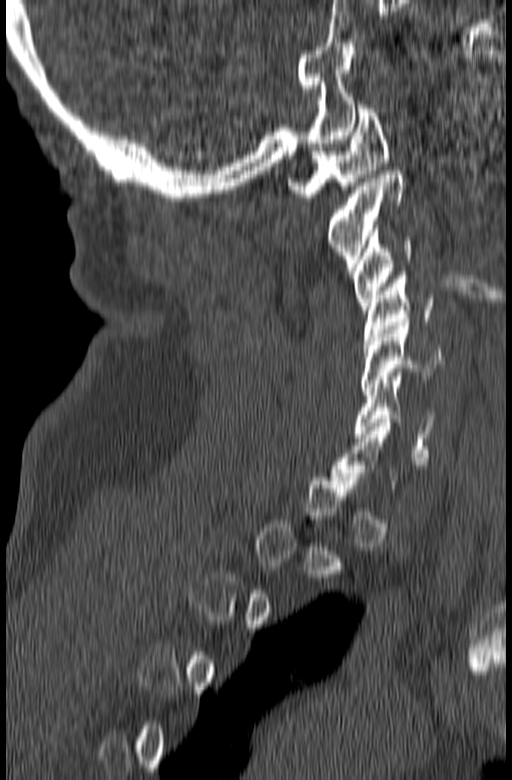

CT spine; sagittal view; W/L 1800/400 HU
Box edges are left/top/right/bottom in pixels.
Not every vertebra on this slice has a box: a vertebra is boxed only from the first to the last slice where its cross-section is at least a third of its largest, and this slice is outside that range for at least one of them.
| vertebra | x1 | y1 | x2 | y2 |
|---|---|---|---|---|
| C1 | 288 | 105 | 388 | 197 |
| C2 | 327 | 167 | 405 | 271 |
| C3 | 352 | 225 | 413 | 313 |
| C4 | 363 | 272 | 434 | 348 |
| C5 | 361 | 322 | 445 | 391 |
| C6 | 355 | 376 | 436 | 453 |